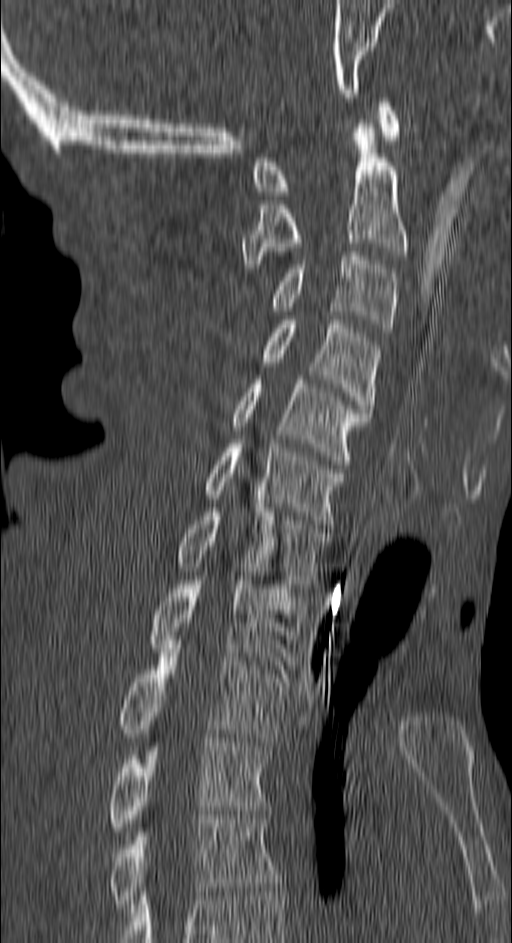
CT, spine. sagittal reformat. image 150 mm wide

Bounding boxes as [x1, y1, x2, y2] in pixel coordinates.
Vertebra bounding boxes:
- C1: [254, 98, 400, 195]
- C2: [240, 119, 406, 268]
- C3: [274, 252, 396, 332]
- C4: [264, 320, 379, 413]
- C5: [233, 375, 370, 464]
- C6: [206, 439, 345, 524]
- C7: [179, 508, 328, 588]
- T1: [151, 576, 304, 669]
- T2: [121, 644, 288, 746]
- T3: [110, 738, 270, 831]
- T4: [110, 815, 280, 908]